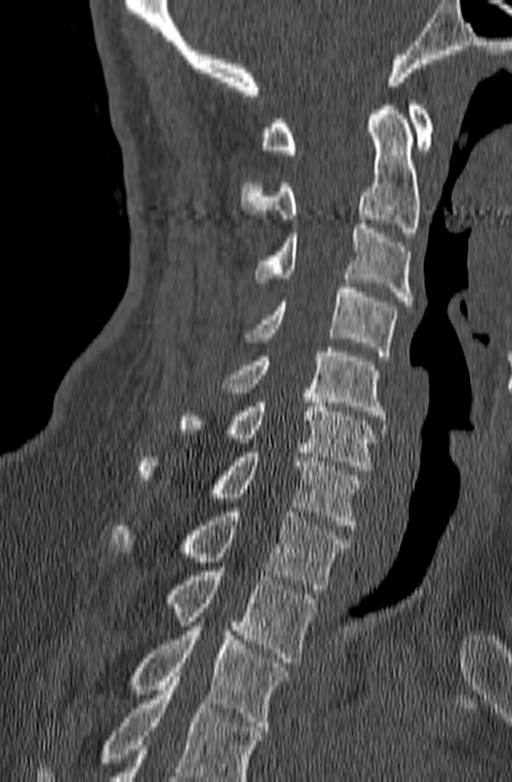
CT, spine · the image is 140 mm wide · sagittal view
Where the bottom of the scan cuts through a vertebra, that vertebra gets no label or box.
<vertebrae><v name="T3" x1="128" y1="626" x2="288" y2="730"/><v name="T2" x1="166" y1="571" x2="317" y2="662"/><v name="T1" x1="110" y1="507" x2="351" y2="589"/><v name="C7" x1="137" y1="448" x2="362" y2="529"/><v name="C6" x1="179" y1="393" x2="377" y2="470"/><v name="C5" x1="221" y1="347" x2="385" y2="420"/><v name="C4" x1="246" y1="283" x2="397" y2="356"/><v name="C3" x1="256" y1="224" x2="413" y2="305"/><v name="C2" x1="241" y1="101" x2="420" y2="237"/><v name="C1" x1="261" y1="101" x2="433" y2="154"/></vertebrae>